Computed tomography of the spine. sagittal view. Bone window (WL 400, WW 1800). 512x933 px. a region is masked with a constant gray value
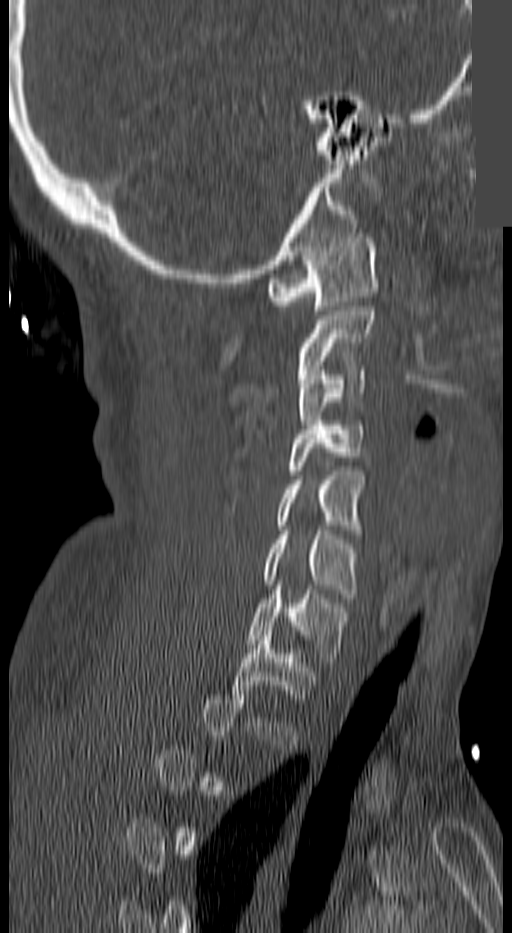

In the table, x1 and y1 are a box's top-left corner and x2 and y2 its bottom-right corner, in pixels.
A vertebra gets a box only on the slices from the first to the last where its cross-section is at least a third of its largest; on a slice outside that range it gets none.
| vertebra | x1 | y1 | x2 | y2 |
|---|---|---|---|---|
| T1 | 232 | 631 | 315 | 703 |
| C7 | 246 | 585 | 348 | 662 |
| C6 | 265 | 530 | 359 | 598 |
| C5 | 276 | 471 | 362 | 534 |
| C4 | 285 | 421 | 366 | 474 |
| C3 | 297 | 366 | 366 | 433 |
| C2 | 298 | 306 | 373 | 369 |
| C1 | 268 | 233 | 377 | 310 |